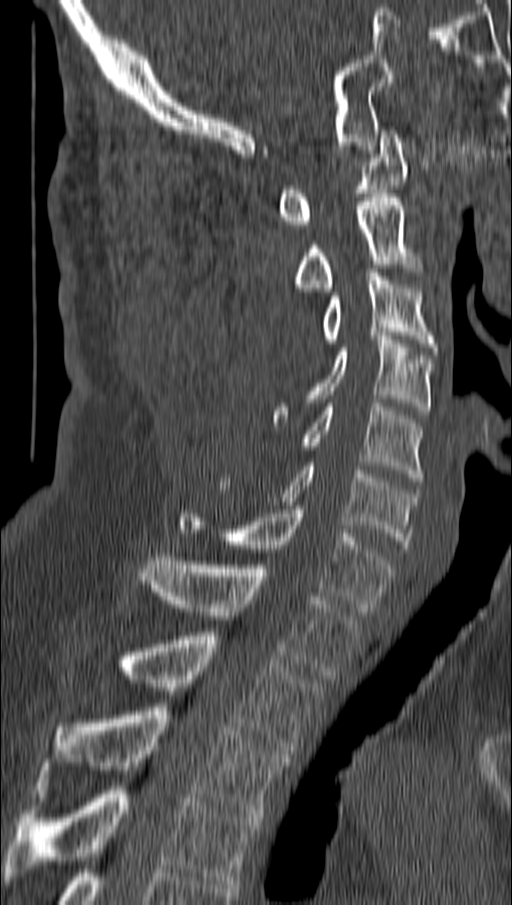 Spine computed tomography · sagittal reformat

Boxes are given in columns x1, y1, x2, y2, the pixel coordinates of their top-left and bottom-right corners.
| vertebra | x1 | y1 | x2 | y2 |
|---|---|---|---|---|
| C1 | 276 | 130 | 408 | 228 |
| C2 | 292 | 194 | 424 | 291 |
| C3 | 320 | 273 | 436 | 351 |
| C4 | 273 | 336 | 433 | 426 |
| C5 | 301 | 403 | 424 | 481 |
| C6 | 270 | 462 | 417 | 552 |
| C7 | 178 | 506 | 392 | 611 |
| T1 | 140 | 553 | 360 | 679 |
| T2 | 115 | 632 | 319 | 754 |
| T3 | 42 | 707 | 288 | 817 |
| T4 | 4 | 786 | 259 | 888 |